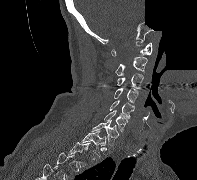

CT. image width 197 mm. sagittal view. an area of the scan was removed and filled with constant pixels
Boxes below are [x1, y1, x2, y2] in pixels.
Each vertebra is boxed only on the slices from the first to the last where its cross-section reaches a third of its largest, so a slice outside that range leaves it unboxed.
{"vertebrae":{"C1":[111,42,152,56],"C2":[115,57,147,75],"C3":[116,73,143,88],"C4":[114,88,138,103],"C5":[109,100,134,118],"C6":[104,110,127,131],"C7":[91,120,118,145],"T1":[81,129,106,156]}}